CT; sagittal view; bone window
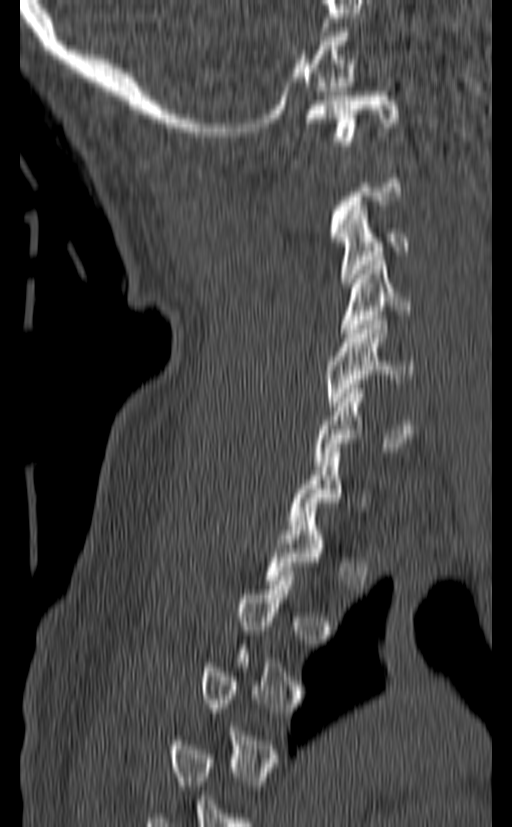 Boxes: x1:y1:x2:y2 in pixels.
Not every vertebra on this slice has a box: a vertebra is boxed only from the first to the last slice where its cross-section is at least a third of its largest, and this slice is outside that range for at least one of them.
Vertebra bounding boxes:
- C7: 288:448:369:529
- C6: 314:384:417:465
- C5: 327:320:414:406
- C4: 341:261:410:337
- C3: 337:206:408:287
- C1: 306:91:398:145